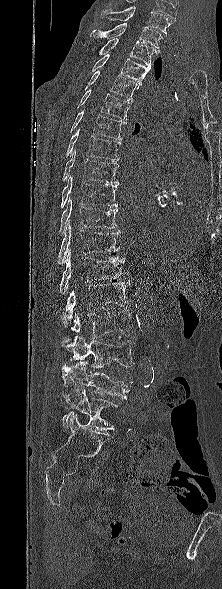
Spine CT; sagittal view; bone-window reconstruction
Boxes are given in columns x1, y1, x2, y2, the pixel coordinates of their top-left and bottom-right corners.
Labels in this scan begin with T1 at the top and end with L5 at the bottom.
| vertebra | x1 | y1 | x2 | y2 |
|---|---|---|---|---|
| L5 | 57 | 389 | 118 | 434 |
| L4 | 61 | 360 | 133 | 400 |
| L3 | 61 | 335 | 134 | 367 |
| L2 | 71 | 309 | 133 | 338 |
| L1 | 63 | 280 | 130 | 326 |
| T12 | 59 | 250 | 128 | 294 |
| T11 | 58 | 222 | 120 | 264 |
| T10 | 59 | 197 | 117 | 235 |
| T9 | 60 | 175 | 118 | 208 |
| T8 | 62 | 149 | 118 | 183 |
| T7 | 66 | 127 | 121 | 160 |
| T6 | 70 | 110 | 124 | 140 |
| T5 | 74 | 89 | 132 | 121 |
| T4 | 85 | 71 | 139 | 101 |
| T3 | 92 | 54 | 150 | 85 |
| T2 | 99 | 38 | 156 | 65 |
| T1 | 90 | 23 | 163 | 52 |